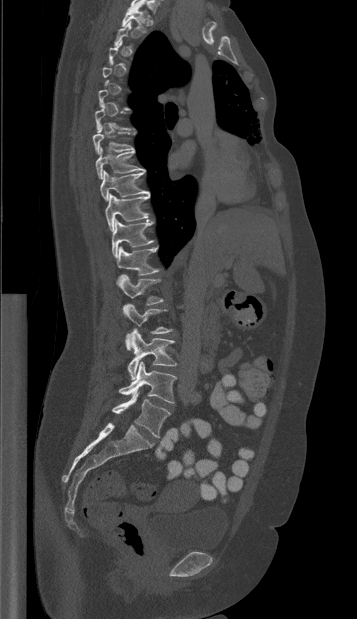
Spine CT; 357 mm across the image; sagittal view
Coordinates as <box>x1,y1,x2,y2</box>. A vertebra gets a box only on the slices from the first to the last where its cross-section is at least a third of its largest; on a slice outside that range it gets none. Vertebrae labeled: T1 at <box>121,2,148,32</box>, T7 at <box>92,125,134,153</box>, T8 at <box>95,146,145,178</box>, T9 at <box>100,171,149,201</box>, T10 at <box>105,194,149,232</box>, T11 at <box>112,219,153,257</box>, T12 at <box>116,246,159,285</box>, L1 at <box>119,274,163,304</box>, L2 at <box>123,303,172,349</box>, L3 at <box>127,329,176,379</box>, L4 at <box>119,362,176,403</box>, L5 at <box>111,392,170,437</box>.